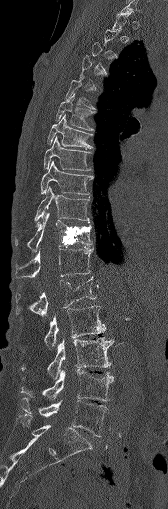 CT, spine. sagittal view. 168x509 px
Box edges are left/top/right/bottom in pixels.
Each vertebra is boxed only on the slices from the first to the last where its cross-section reaches a third of its largest, so a slice outside that range leaves it unboxed.
| vertebra | x1 | y1 | x2 | y2 |
|---|---|---|---|---|
| L5 | 21 | 398 | 109 | 436 |
| L4 | 21 | 370 | 113 | 401 |
| L3 | 20 | 337 | 113 | 379 |
| L2 | 44 | 306 | 105 | 347 |
| L1 | 15 | 277 | 96 | 315 |
| T12 | 15 | 247 | 93 | 278 |
| T11 | 15 | 213 | 92 | 252 |
| T10 | 36 | 186 | 88 | 223 |
| T9 | 40 | 161 | 91 | 194 |
| T8 | 44 | 136 | 90 | 170 |
| T7 | 47 | 114 | 91 | 148 |
| T6 | 55 | 96 | 94 | 130 |